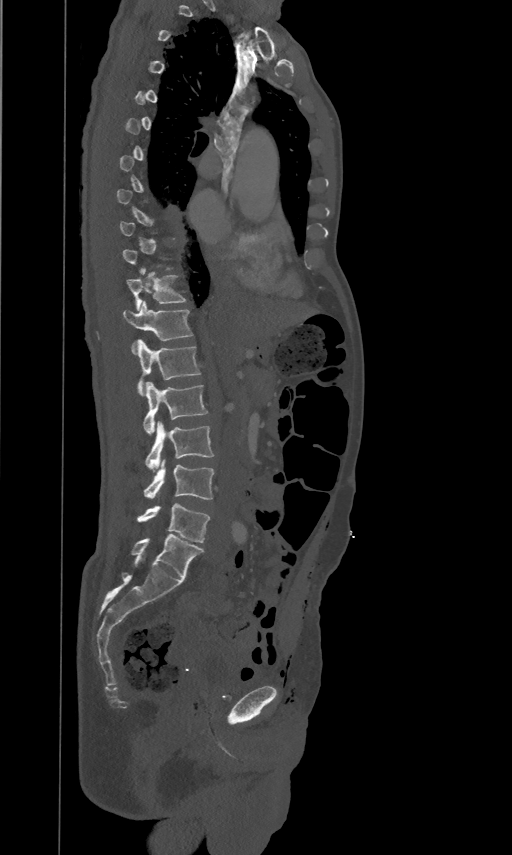

CT spine · sagittal view · bone window · the image spans 461 mm across. Boxes: x1:y1:x2:y2 in pixels. A vertebra is boxed only from the first to the last slice where its cross-section is at least a third of its largest; slices outside that range leave it without a box. 7 vertebrae labeled — T11 at 127:269:186:310; T12 at 123:300:192:351; L1 at 136:339:200:395; L2 at 143:381:207:434; L3 at 145:421:213:471; L4 at 144:460:214:500; L5 at 136:503:210:542.